Computed tomography of the spine · the image spans 350 mm across · Sagittal slice 282/512 · 512x712 px
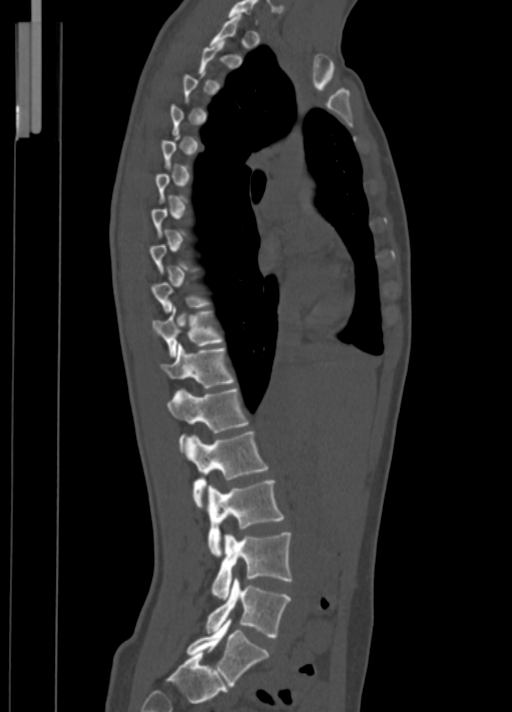

Box edges are left/top/right/bottom in pixels.
Not every vertebra on this slice has a box: a vertebra is boxed only from the first to the last slice where its cross-section is at least a third of its largest, and this slice is outside that range for at least one of them.
L5: left=187, top=619, right=268, bottom=685
L4: left=206, top=578, right=290, bottom=637
L3: left=212, top=532, right=291, bottom=599
L2: left=206, top=480, right=284, bottom=556
L1: left=186, top=432, right=268, bottom=507
T12: left=167, top=388, right=247, bottom=450
T11: left=159, top=344, right=234, bottom=388
T10: left=152, top=307, right=223, bottom=356
C7: left=228, top=0, right=258, bottom=22